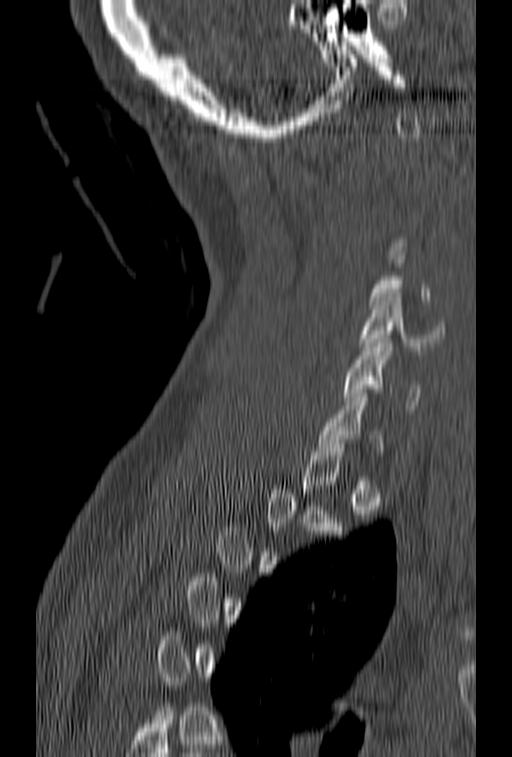
CT spine · sagittal view · the image is 153 mm wide
In the table, x1 and y1 are a box's top-left corner and x2 and y2 its bottom-right corner, in pixels.
A vertebra gets a box only on the slices from the first to the last where its cross-section is at least a third of its largest; on a slice outside that range it gets none.
| vertebra | x1 | y1 | x2 | y2 |
|---|---|---|---|---|
| C5 | 359 | 293 | 444 | 350 |
| C6 | 343 | 339 | 421 | 413 |
| C7 | 316 | 389 | 382 | 451 |